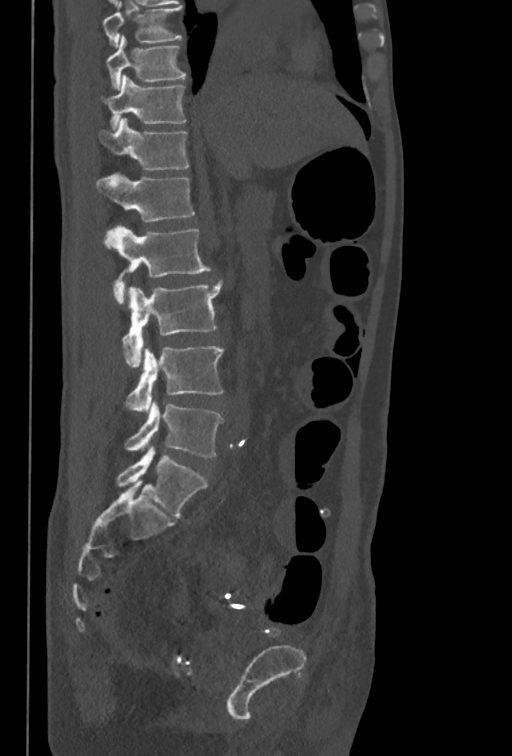

Computed tomography of the spine — sagittal view — W/L 1800/400 HU. Bounding boxes as [x1, y1, x2, y2] in pixel coordinates.
This scan's labels start at T10 at the top and end at L5 at the bottom.
Vertebra bounding boxes:
- T10: [107, 36, 186, 90]
- T11: [102, 75, 186, 129]
- T12: [99, 117, 189, 170]
- L1: [96, 172, 195, 222]
- L2: [105, 225, 210, 303]
- L3: [123, 280, 223, 368]
- L4: [126, 346, 223, 414]
- L5: [125, 403, 223, 457]